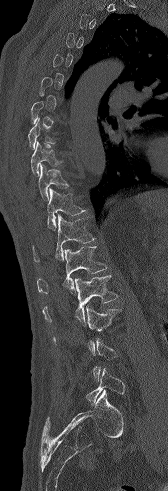

Spine CT · sagittal reformat
Each row gives a vertebra's box as x1, y1, x2, y2 in pixels: top-left corner, then bottom-right corner.
Not every vertebra on this slice has a box: a vertebra is boxed only from the first to the last slice where its cross-section is at least a third of its largest, and this slice is outside that range for at least one of them.
| vertebra | x1 | y1 | x2 | y2 |
|---|---|---|---|---|
| T9 | 31 | 141 | 62 | 176 |
| T10 | 38 | 164 | 69 | 200 |
| T11 | 47 | 188 | 85 | 230 |
| T12 | 32 | 214 | 96 | 262 |
| L1 | 37 | 246 | 107 | 295 |
| L2 | 42 | 275 | 117 | 325 |
| L3 | 53 | 305 | 121 | 355 |
| L5 | 86 | 367 | 125 | 405 |